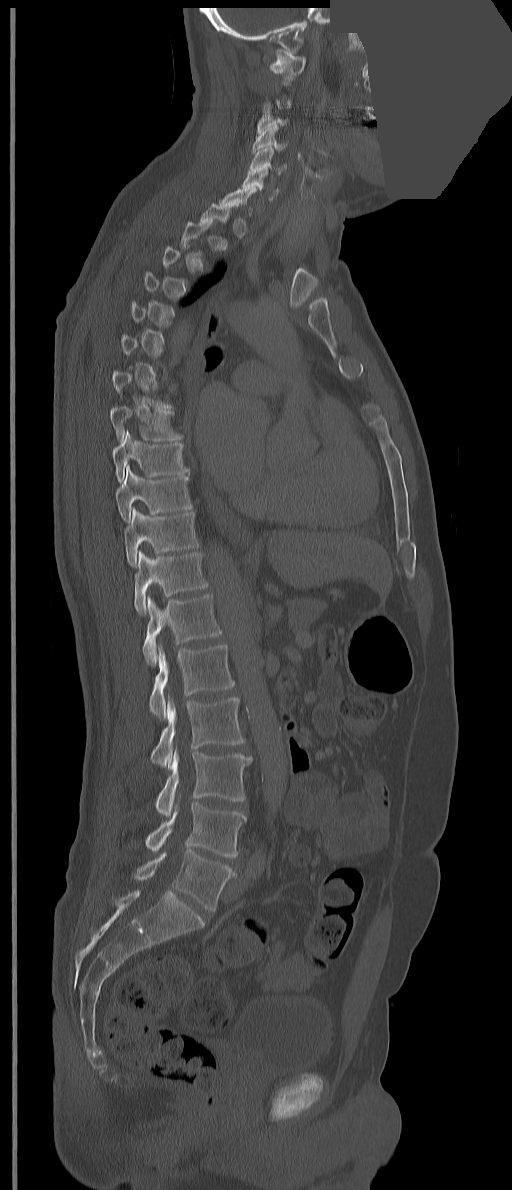 Spine computed tomography · sagittal view · bone-window reconstruction · 512x1190 px · image width 351 mm · an area of the scan was removed and filled with constant pixels. Boxes are (x1, y1, x2, y2) in pixels.
A vertebra gets a box only on the slices from the first to the last where its cross-section is at least a third of its largest; on a slice outside that range it gets none.
These labels give the spine a thirteenth thoracic vertebra: T13 sits between T12 and L1.
C1: (269, 48, 306, 81)
C3: (257, 112, 287, 133)
C4: (252, 125, 288, 153)
C5: (247, 146, 286, 176)
C6: (242, 169, 278, 200)
T8: (110, 406, 182, 442)
T9: (113, 430, 189, 482)
T10: (115, 465, 192, 522)
T11: (124, 507, 199, 568)
T12: (134, 550, 208, 615)
T13: (142, 594, 221, 666)
L1: (149, 645, 234, 718)
L2: (150, 696, 244, 768)
L3: (155, 750, 252, 816)
L4: (145, 802, 246, 857)
L5: (133, 850, 236, 911)